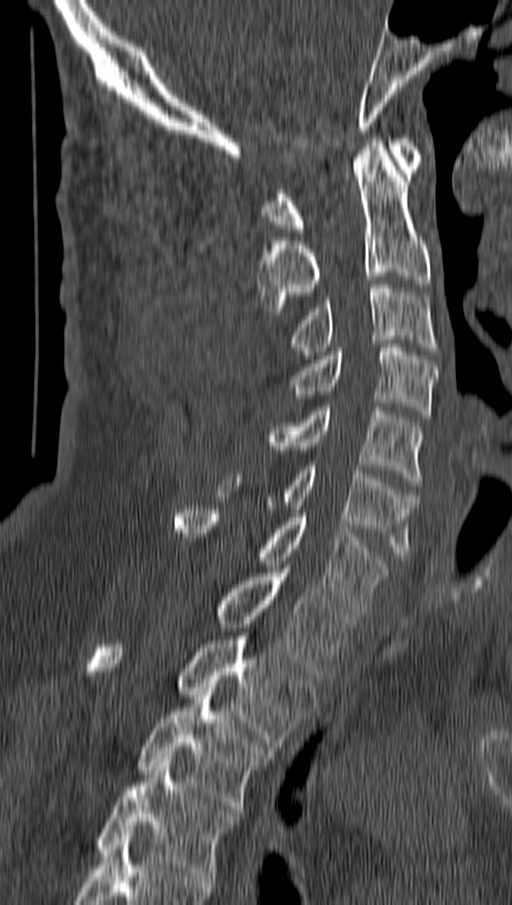 CT, spine — sagittal view. Boxes: x1 y1 x2 y2 (pixel coords, space-separated).
Vertebra bounding boxes:
- C1: 263 138 422 232
- C2: 257 138 430 315
- C3: 292 284 437 359
- C4: 292 344 436 418
- C5: 270 403 424 485
- C6: 217 466 417 560
- C7: 175 506 389 611
- T1: 216 565 354 679
- T2: 83 632 316 750
- T3: 137 691 272 813
- T4: 96 759 237 880